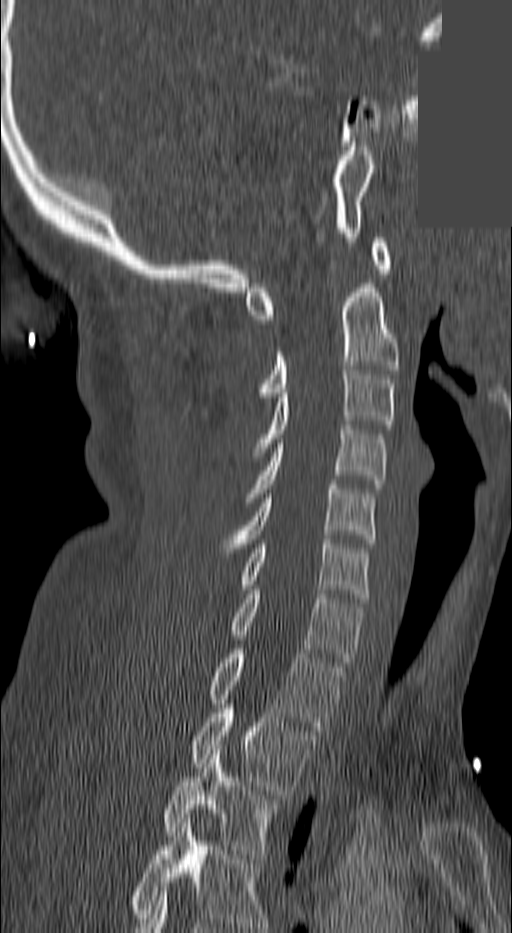 CT, spine · sagittal reformat · 512x933 px · a region of this slice is masked with a uniform fill

Boxes are given in columns x1, y1, x2, y2, the pixel coordinates of their top-left and bottom-right corners.
The highest labeled vertebra in this scan is C1; the lowest is T3.
| vertebra | x1 | y1 | x2 | y2 |
|---|---|---|---|---|
| C1 | 246 | 238 | 388 | 319 |
| C2 | 261 | 283 | 399 | 401 |
| C3 | 249 | 366 | 395 | 456 |
| C4 | 243 | 425 | 384 | 502 |
| C5 | 220 | 485 | 373 | 552 |
| C6 | 243 | 539 | 370 | 602 |
| C7 | 232 | 590 | 362 | 666 |
| T1 | 210 | 649 | 344 | 730 |
| T2 | 192 | 704 | 315 | 794 |
| T3 | 162 | 750 | 275 | 858 |